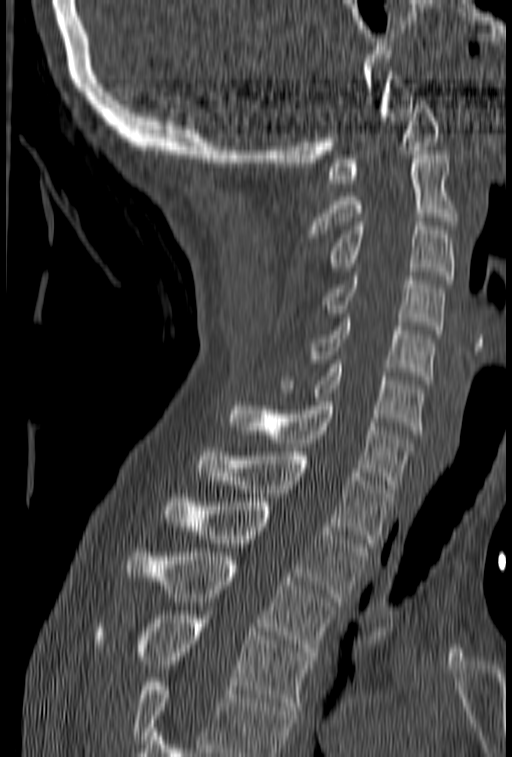 Spine CT. sagittal view

Boxes are (x1, y1, x2, y2) in pixels.
Where the bottom of the scan cuts through a vertebra, that vertebra gets no label or box.
T4: (93, 615, 314, 710)
T3: (127, 548, 335, 656)
T2: (164, 498, 372, 601)
T1: (198, 448, 392, 547)
C7: (229, 397, 412, 488)
C6: (279, 360, 425, 434)
C5: (309, 314, 435, 380)
C4: (322, 276, 445, 334)
C3: (327, 218, 455, 279)
C2: (309, 151, 455, 237)
C1: (326, 96, 439, 183)